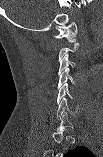
Spine CT · sagittal view · 103x157 px

Box values are [left, top, right, bottom] in pixels.
A vertebra is boxed only from the first to the last slice where its cross-section is at least a third of its largest; slices outside that range leave it without a box.
{"vertebrae":{"C1":[54,21,77,42],"C3":[58,53,76,74],"C4":[58,68,74,89],"C5":[57,83,72,104],"C6":[57,97,78,117]}}